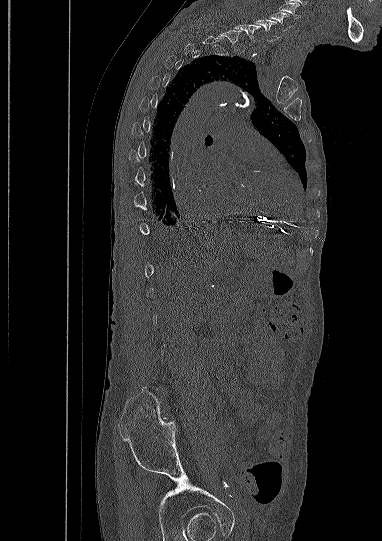 Spine computed tomography. sagittal view. bone-window reconstruction
Boxes are given in columns x1, y1, x2, y2, the pixel coordinates of their top-left and bottom-right corners.
Each vertebra is boxed only on the slices from the first to the last where its cross-section reaches a third of its largest, so a slice outside that range leaves it unboxed.
The highest labeled vertebra in this scan is C5; the lowest is L5.
| vertebra | x1 | y1 | x2 | y2 |
|---|---|---|---|---|
| C7 | 235 | 24 | 260 | 46 |
| C6 | 255 | 19 | 277 | 41 |
| C5 | 270 | 12 | 290 | 31 |